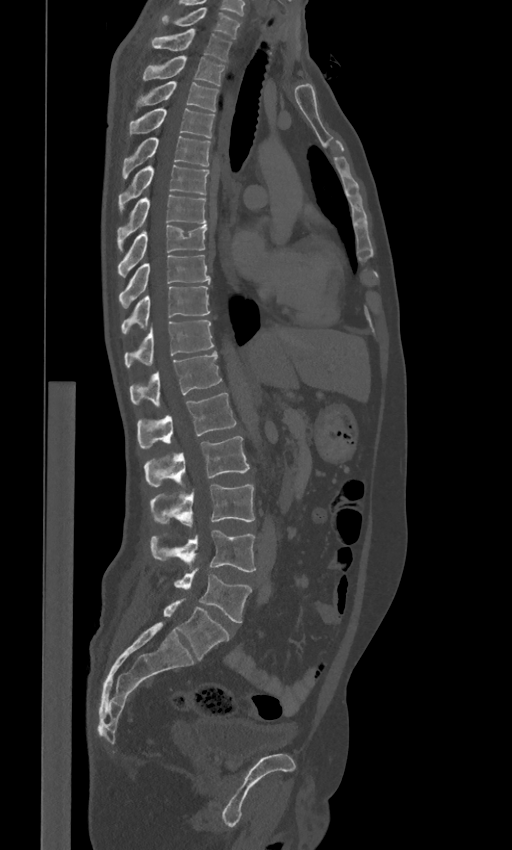
CT spine — sagittal view — the image spans 443 mm across — W/L 1800/400 HU
The labels name a sixth lumbar vertebra for this spine: L6, after L5.
<vertebrae><v name="C7" x1="158" y1="7" x2="240" y2="39"/><v name="T1" x1="151" y1="28" x2="231" y2="60"/><v name="T2" x1="143" y1="56" x2="224" y2="85"/><v name="T3" x1="136" y1="81" x2="219" y2="111"/><v name="T4" x1="128" y1="108" x2="214" y2="137"/><v name="T5" x1="122" y1="135" x2="210" y2="179"/><v name="T6" x1="118" y1="164" x2="208" y2="213"/><v name="T7" x1="117" y1="195" x2="206" y2="250"/><v name="T8" x1="118" y1="225" x2="207" y2="277"/><v name="T9" x1="119" y1="255" x2="210" y2="307"/><v name="T10" x1="121" y1="286" x2="209" y2="333"/><v name="T11" x1="125" y1="320" x2="214" y2="367"/><v name="T12" x1="129" y1="351" x2="222" y2="406"/><v name="L1" x1="137" y1="392" x2="236" y2="447"/><v name="L2" x1="144" y1="436" x2="249" y2="489"/><v name="L3" x1="150" y1="485" x2="254" y2="527"/><v name="L4" x1="150" y1="529" x2="255" y2="571"/><v name="L5" x1="174" y1="568" x2="251" y2="622"/><v name="L6" x1="163" y1="599" x2="229" y2="660"/></vertebrae>